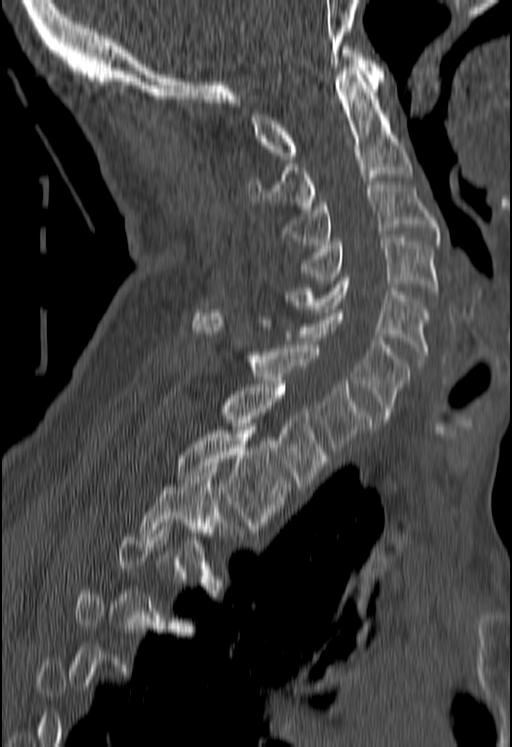
CT; sagittal view; bone-window reconstruction; 512x747 px
Coordinates as <box>x1,y1,x2,y2</box>.
Not every vertebra on this slice has a box: a vertebra is boxed only from the first to the last slice where its cross-section is at least a third of its largest, and this slice is outside that range for at least one of them.
Vertebra bounding boxes:
- C1: <box>251,46,384,159</box>
- C2: <box>248,64,412,209</box>
- C3: <box>285,181,438,244</box>
- C4: <box>300,238,438,294</box>
- C5: <box>286,277,429,358</box>
- C6: <box>256,309,410,422</box>
- C7: <box>193,309,371,454</box>
- T1: <box>220,384,327,486</box>
- T2: <box>176,427,287,525</box>